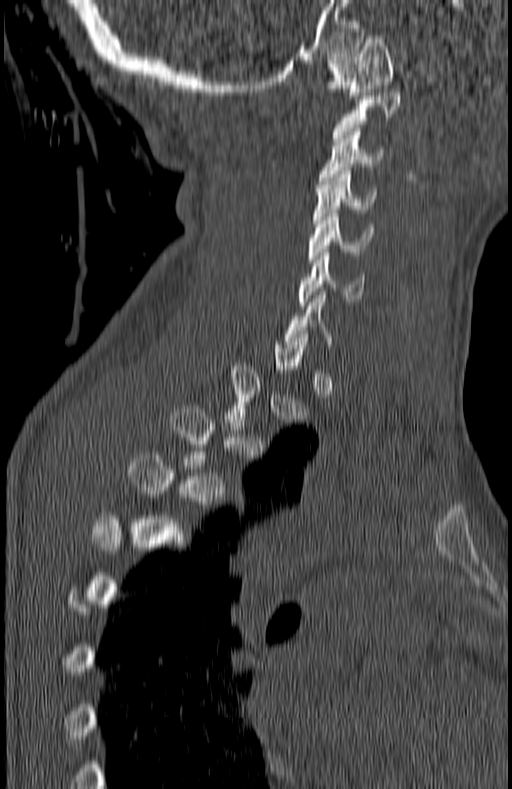 CT spine; sagittal reformat; 180 mm wide; Bone window (WL 400, WW 1800); 512x789 px
Columns x1, y1, x2, y2 give each box's top-left and bottom-right pixels.
Each vertebra is boxed only on the slices from the first to the last where its cross-section reaches a third of its largest, so a slice outside that range leaves it unboxed.
| vertebra | x1 | y1 | x2 | y2 |
|---|---|---|---|---|
| C6 | 300 | 252 | 364 | 305 |
| C5 | 308 | 210 | 373 | 262 |
| C4 | 314 | 171 | 375 | 223 |
| C3 | 319 | 128 | 384 | 184 |
| C1 | 326 | 36 | 393 | 99 |